CT · sagittal plane, index 24 · bone-window reconstruction · scan covers 5 annotated vertebrae
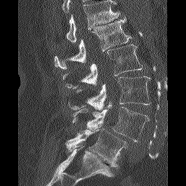

Boxes are (x1, y1, x2, y2) in pixels.
Where the top of the scan cuts through a vertebra, that vertebra gets no label or box.
L1: (54, 17, 131, 69)
L2: (62, 44, 142, 88)
L3: (68, 76, 150, 109)
L4: (72, 101, 149, 141)
L5: (66, 128, 127, 166)